Computed tomography of the spine — sagittal plane, index 224 — bone window — 512x919 px
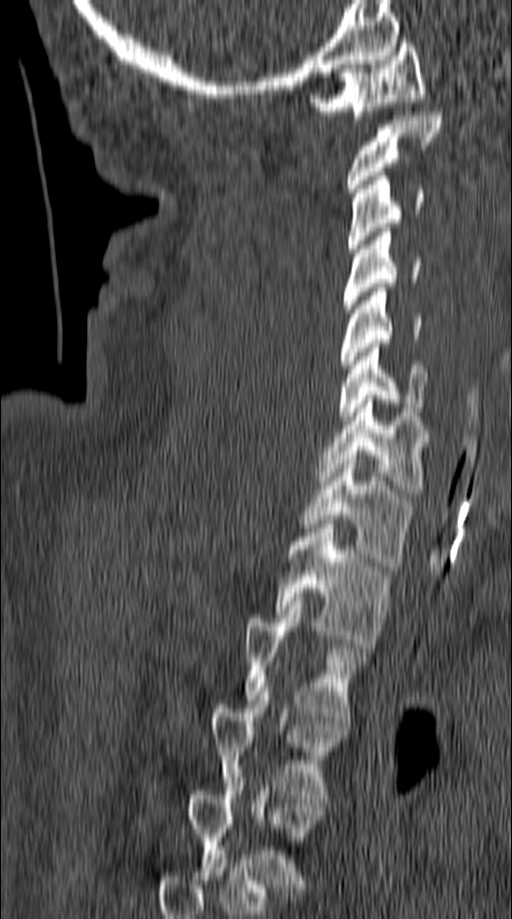 Boxes below are [x1, y1, x2, y2] in pixels.
{"vertebrae":{"C1":[308,43,426,119],"C2":[348,112,440,192],"C3":[348,172,424,252],"C4":[342,228,421,313],"C5":[341,288,422,368],"C6":[338,344,426,420],"C7":[317,395,428,497],"T1":[300,455,410,566],"T2":[275,524,389,643],"T3":[245,597,364,721],"T4":[207,687,346,798],"T5":[187,790,323,888]}}